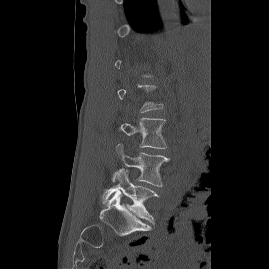 Computed tomography of the spine — sagittal view
Each box given as x1,y1,x2,y2. A vertebra gets a box only on the slices from the first to the last where its cross-section is at least a third of its largest; on a slice outside that range it gets none. 3 vertebrae labeled — L5 at x1=97, y1=169, x2=159, y2=227; L4 at x1=112, y1=143, x2=169, y2=186; L3 at x1=120, y1=118, x2=166, y2=148.